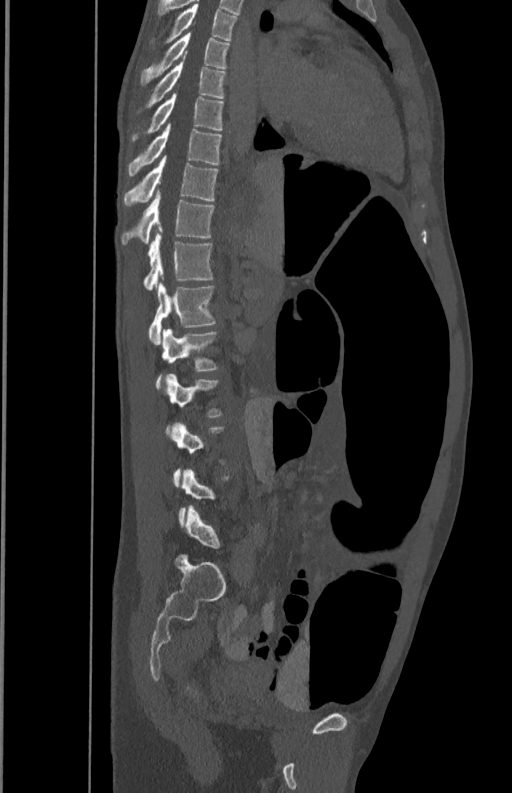
Spine CT — sagittal view — 512x793 px
Boxes: x1 y1 x2 y2 (pixel coords, space-separated). Not every vertebra on this slice has a box: a vertebra is boxed only from the first to the last slice where its cross-section is at least a third of its largest, and this slice is outside that range for at least one of them. 11 vertebrae labeled — L3 at 165 374 223 435; L2 at 156 329 218 389; L1 at 148 276 217 344; T12 at 142 230 212 291; T11 at 121 188 214 244; T10 at 123 155 218 207; T9 at 128 124 223 175; T8 at 131 93 224 143; T7 at 136 61 226 112; T6 at 140 32 230 85; T5 at 150 3 239 50.